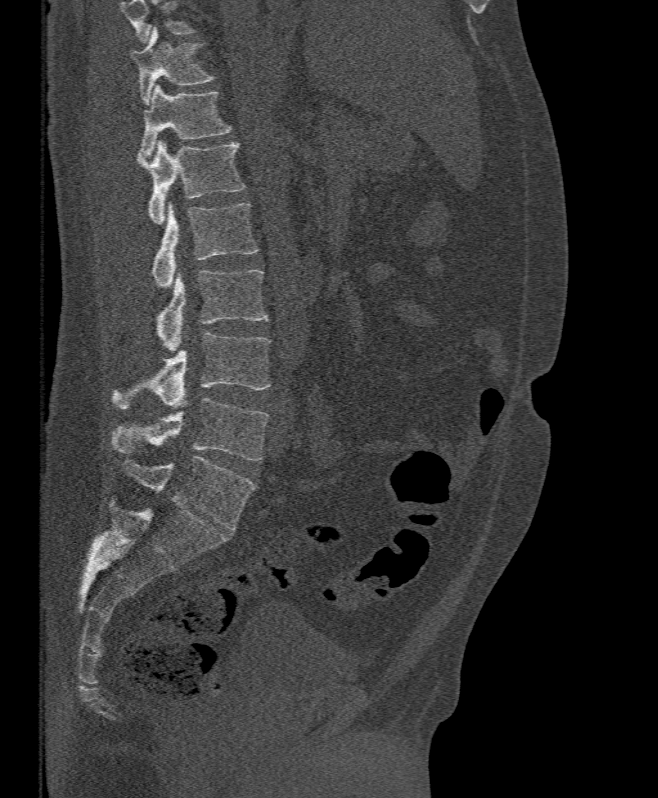
CT, spine. sagittal view. the image is 395 mm wide. W/L 1800/400 HU
Columns x1, y1, x2, y2 give each box's top-left and bottom-right pixels.
Vertebrae that run past the top of the scan are left unlabeled.
| vertebra | x1 | y1 | x2 | y2 |
|---|---|---|---|---|
| L5 | 112 | 398 | 269 | 461 |
| L4 | 112 | 332 | 270 | 409 |
| L3 | 157 | 270 | 268 | 352 |
| L2 | 152 | 202 | 259 | 289 |
| L1 | 138 | 140 | 246 | 224 |
| T12 | 140 | 83 | 230 | 158 |
| T11 | 131 | 27 | 214 | 104 |